CT. sagittal plane, index 291
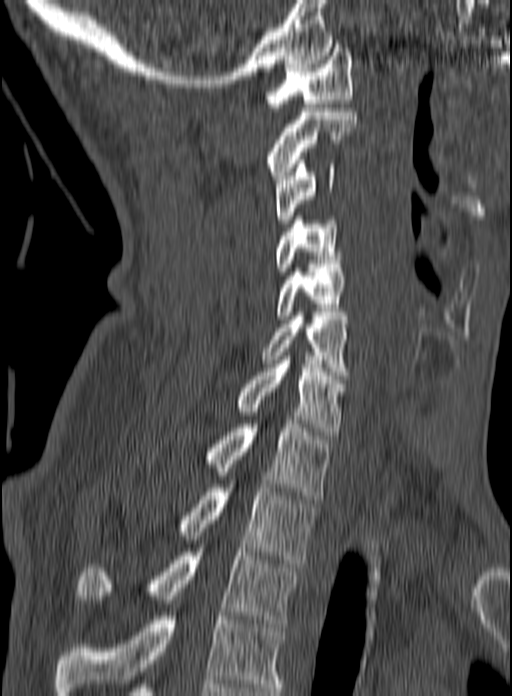
Box values are [left, top, right, bottom] in pixels.
This scan's labels start at C1 at the top and end at T3 at the bottom.
{"vertebrae":{"T3":[78,548,298,627],"T2":[177,484,317,567],"T1":[206,420,331,499],"C7":[235,360,344,435],"C6":[260,312,349,379],"C5":[276,264,347,319],"C4":[276,212,341,275],"C3":[275,160,335,223],"C2":[267,108,357,179],"C1":[265,48,352,111]}}